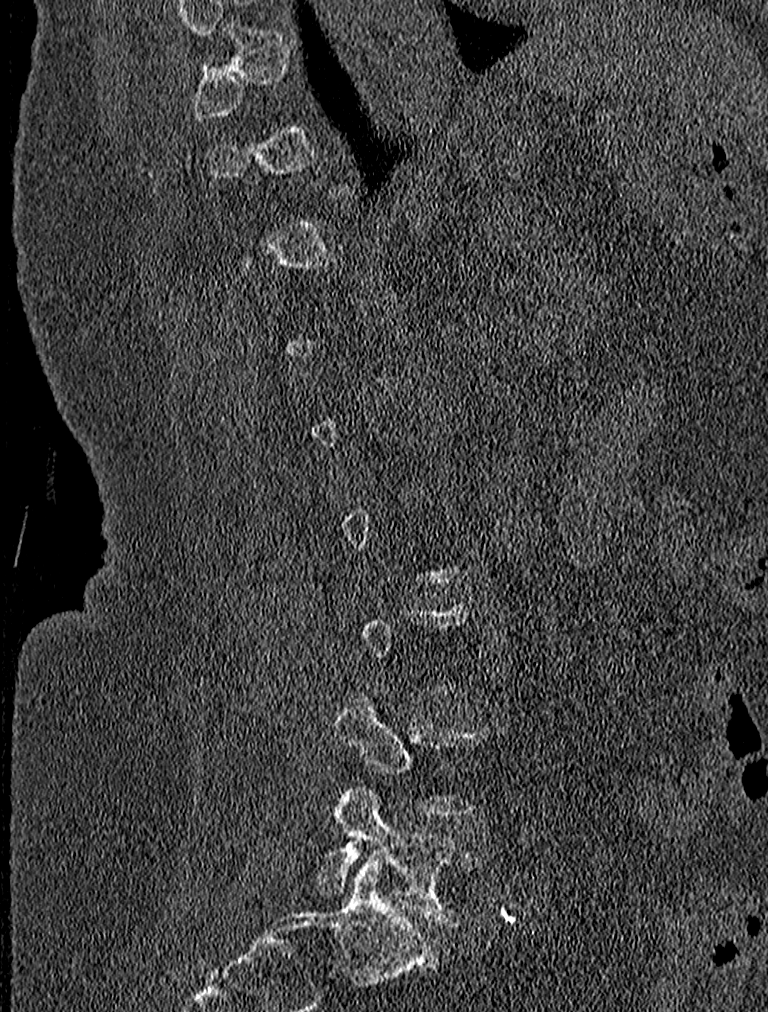

Spine CT; sagittal view; bone-window reconstruction
Each box is [x1, y1, x2, y2] in pixels: top-left corner, then bottom-right corner.
A vertebra is boxed only from the first to the last slice where its cross-section is at least a third of its largest; slices outside that range leave it without a box.
{"vertebrae":{"L5":[317,787,485,925],"L4":[334,696,490,817]}}